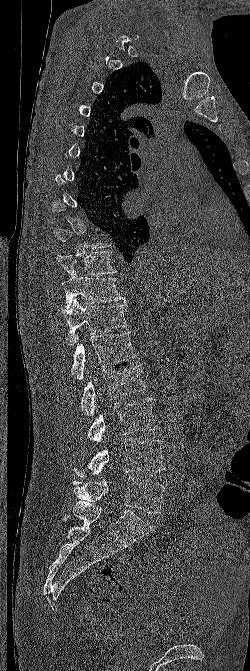
CT, spine · sagittal view
A vertebra is boxed only from the first to the last slice where its cross-section is at least a third of its largest; slices outside that range leave it without a box.
<vertebrae><v name="T10" x1="57" y1="251" x2="116" y2="275"/><v name="T11" x1="61" y1="271" x2="126" y2="310"/><v name="T12" x1="60" y1="298" x2="128" y2="345"/><v name="L1" x1="71" y1="331" x2="136" y2="380"/><v name="L2" x1="80" y1="364" x2="146" y2="417"/><v name="L3" x1="87" y1="398" x2="159" y2="442"/><v name="L4" x1="73" y1="438" x2="165" y2="477"/><v name="L5" x1="73" y1="476" x2="165" y2="513"/></vertebrae>